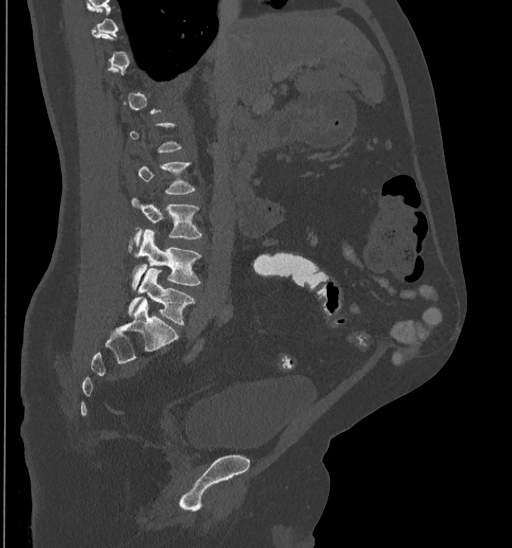
Spine CT · sagittal view · bone-window reconstruction · the image is 435 mm wide · 512x548 px
Each row gives a vertebra's box as x1, y1, x2, y2 in pixels: top-left corner, then bottom-right corner.
A vertebra is boxed only from the first to the last slice where its cross-section is at least a third of its largest; slices outside that range leave it without a box.
| vertebra | x1 | y1 | x2 | y2 |
|---|---|---|---|---|
| L5 | 128 | 269 | 194 | 324 |
| L4 | 132 | 229 | 201 | 290 |
| L3 | 128 | 197 | 201 | 251 |